Spine CT; Sagittal slice 283/512; the image spans 180 mm across; 14 vertebrae labeled in this scan
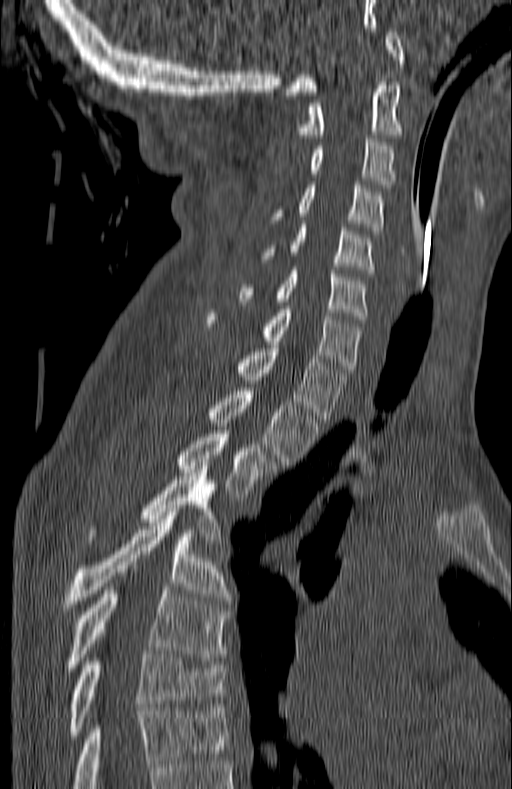 Each vertebra maps to its box as [x1, y1, x2, y2], the pixel coordinates of its top-left and bottom-right corners.
In this scan, the topmost labeled vertebra is C1 and the lowest is T7.
{"vertebrae":{"C1":[285,32,404,95],"C2":[297,82,404,138],"C3":[283,135,395,187],"C4":[268,185,384,234],"C5":[258,224,375,273],"C6":[240,270,367,323],"C7":[206,306,361,372],"T1":[234,345,347,419],"T2":[206,388,318,465],"T3":[174,434,276,497],"T4":[89,469,222,539],"T5":[63,512,230,611],"T6":[69,587,227,667],"T7":[69,654,225,735]}}